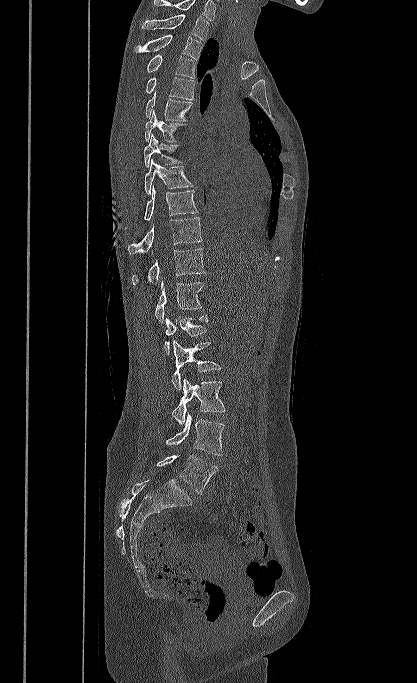 CT spine. sagittal reformat. Bone window (WL 400, WW 1800). 417x683 px
Box edges are left/top/right/bottom in pixels.
In this scan, the topmost labeled vertebra is T1 and the lowest is L5.
L5: left=156, top=455, right=218, bottom=494
L4: left=165, top=413, right=224, bottom=455
L3: left=172, top=378, right=225, bottom=425
L2: left=171, top=340, right=221, bottom=390
L1: left=164, top=314, right=207, bottom=355
T12: left=154, top=280, right=204, bottom=323
T11: left=132, top=248, right=205, bottom=284
T10: left=128, top=217, right=202, bottom=253
T9: left=144, top=185, right=198, bottom=221
T8: left=144, top=159, right=193, bottom=194
T7: left=144, top=134, right=183, bottom=168
T6: left=145, top=110, right=187, bottom=142
T5: left=145, top=91, right=192, bottom=121
T4: left=145, top=77, right=194, bottom=99
T3: left=146, top=54, right=195, bottom=78
T2: left=135, top=34, right=204, bottom=59
T1: left=141, top=14, right=209, bottom=40